Computed tomography of the spine; sagittal view; 563x990 px; 16 vertebrae labeled in this scan
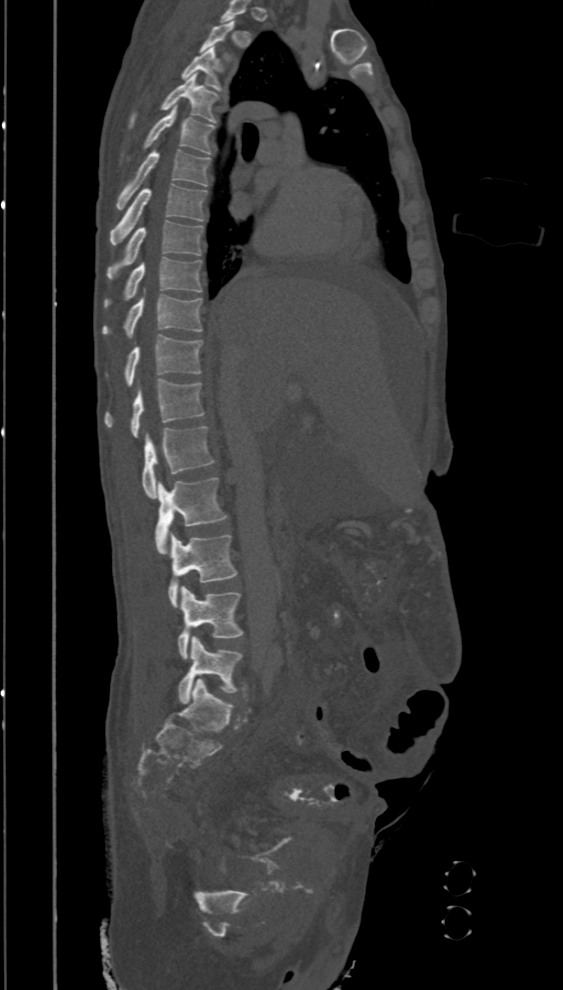

Boxes: x1 y1 x2 y2 (pixel coords, space-separated).
This scan's labels start at T2 at the top and end at L5 at the bottom.
T2: 200 20 234 60
T3: 181 47 225 91
T4: 129 73 218 128
T5: 144 106 214 154
T6: 115 149 210 209
T7: 110 183 206 245
T8: 107 220 203 279
T9: 104 257 201 308
T10: 102 295 201 336
T11: 124 335 203 386
T12: 104 379 203 438
L1: 141 426 214 498
L2: 155 477 228 554
L3: 168 532 238 607
L4: 177 586 243 658
L5: 177 636 242 703